CT spine; the image is 218 mm wide; sagittal view
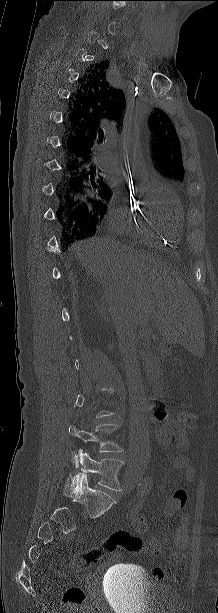
In the table, x1 and y1 are a box's top-left corner and x2 and y2 its bottom-right corner, in pixels.
A vertebra is boxed only from the first to the last slice where its cross-section is at least a third of its largest; slices outside that range leave it without a box.
| vertebra | x1 | y1 | x2 | y2 |
|---|---|---|---|---|
| L4 | 69 | 424 | 122 | 467 |
| L5 | 63 | 449 | 123 | 495 |